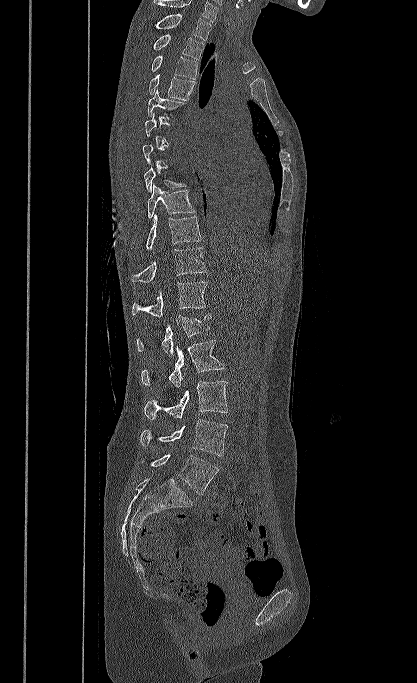

Spine CT; sagittal reformat; 417 mm across the image; Bone window (WL 400, WW 1800)
A vertebra is boxed only from the first to the last slice where its cross-section is at least a third of its largest; slices outside that range leave it without a box.
This scan's labels start at T1 at the top and end at L5 at the bottom.
<vertebrae><v name="T1" x1="154" y1="14" x2="211" y2="40"/><v name="T2" x1="152" y1="34" x2="205" y2="60"/><v name="T3" x1="151" y1="56" x2="197" y2="79"/><v name="T4" x1="149" y1="73" x2="194" y2="100"/><v name="T5" x1="147" y1="89" x2="186" y2="119"/><v name="T8" x1="144" y1="164" x2="186" y2="192"/><v name="T9" x1="147" y1="184" x2="195" y2="218"/><v name="T10" x1="146" y1="214" x2="201" y2="250"/><v name="T11" x1="131" y1="247" x2="207" y2="282"/><v name="T12" x1="132" y1="281" x2="207" y2="317"/><v name="L1" x1="137" y1="314" x2="211" y2="358"/><v name="L2" x1="141" y1="340" x2="224" y2="387"/><v name="L3" x1="144" y1="381" x2="227" y2="419"/><v name="L4" x1="139" y1="419" x2="228" y2="456"/><v name="L5" x1="150" y1="454" x2="219" y2="494"/></vertebrae>